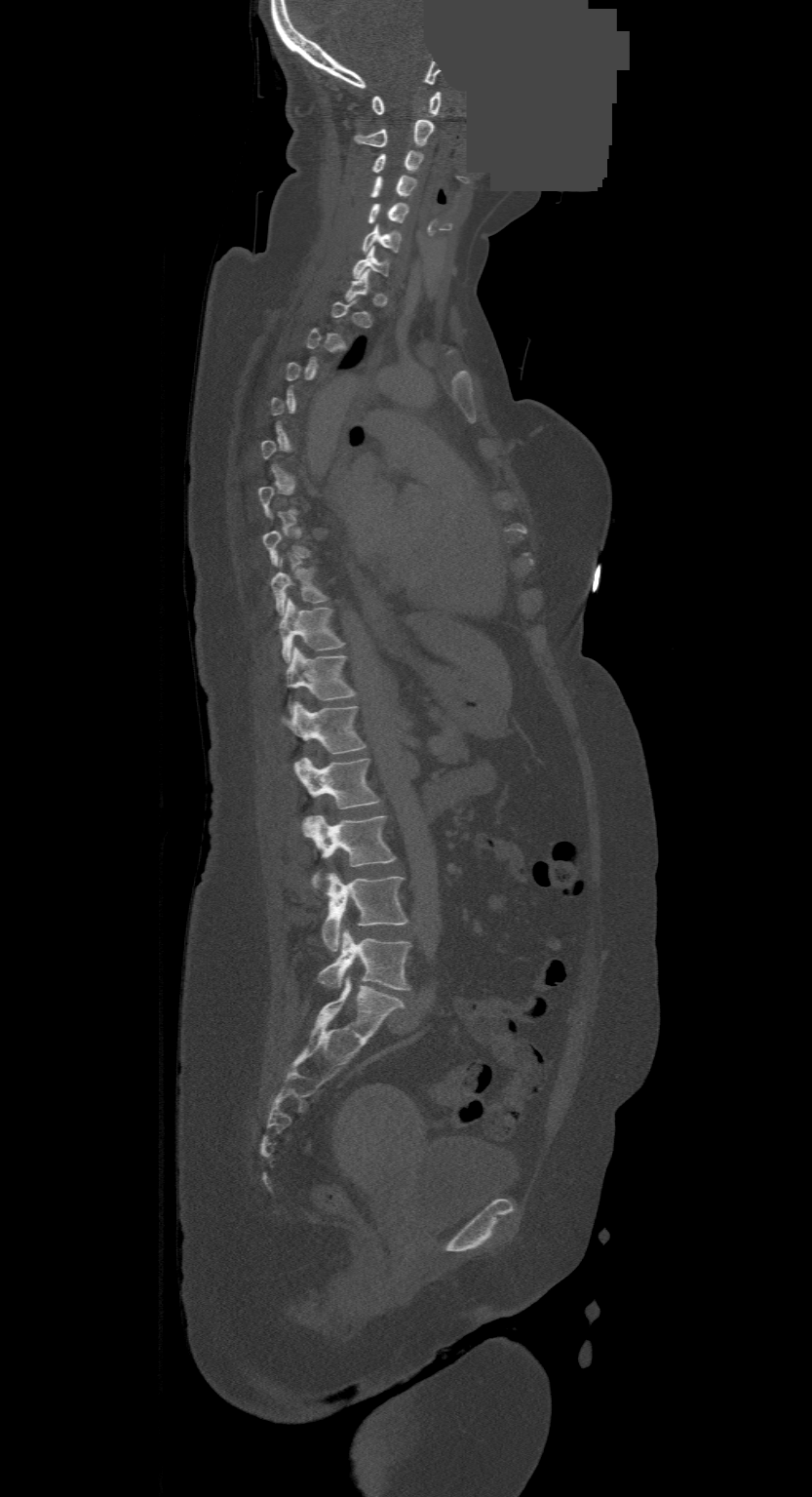 Computed tomography of the spine. sagittal reformat. bone window. some of the image was removed or blocked out with constant pixels. Boxes: x1:y1:x2:y2 in pixels.
Not every vertebra on this slice has a box: a vertebra is boxed only from the first to the last slice where its cross-section is at least a third of its largest, and this slice is outside that range for at least one of them.
In this scan, the topmost labeled vertebra is C1 and the lowest is L4.
Vertebra bounding boxes:
- C1: 371:92:442:116
- C2: 354:119:434:147
- C3: 371:151:423:172
- C4: 369:176:414:196
- C5: 368:204:408:223
- C6: 362:224:402:253
- C7: 352:248:389:277
- T9: 271:560:328:613
- T10: 279:599:343:661
- T11: 286:648:355:710
- T12: 283:701:364:754
- L1: 293:758:380:808
- L2: 303:814:396:886
- L3: 322:873:406:950
- L4: 318:928:411:989